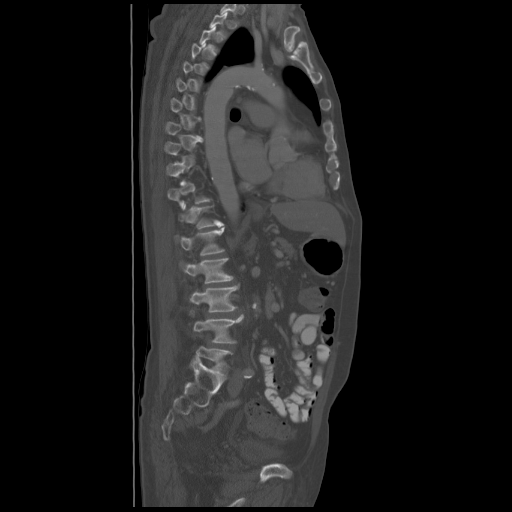

Computed tomography of the spine; sagittal view
A vertebra is boxed only from the first to the last slice where its cross-section is at least a third of its largest; slices outside that range leave it without a box.
<vertebrae><v name="T12" x1="178" y1="206" x2="223" y2="228"/><v name="L1" x1="175" y1="227" x2="224" y2="255"/><v name="L2" x1="181" y1="258" x2="233" y2="283"/><v name="L3" x1="190" y1="284" x2="239" y2="312"/><v name="L4" x1="194" y1="314" x2="243" y2="343"/><v name="L5" x1="191" y1="346" x2="232" y2="374"/></vertebrae>